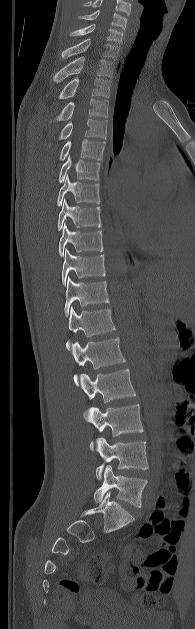

CT; sagittal view; bone-window reconstruction

This scan's labels start at C5 at the top and end at L5 at the bottom.
<vertebrae><v name="C5" x1="80" y1="10" x2="127" y2="29"/><v name="C6" x1="70" y1="24" x2="123" y2="43"/><v name="C7" x1="61" y1="38" x2="119" y2="59"/><v name="T1" x1="54" y1="56" x2="113" y2="81"/><v name="T2" x1="59" y1="78" x2="110" y2="98"/><v name="T3" x1="54" y1="98" x2="108" y2="121"/><v name="T4" x1="59" y1="119" x2="106" y2="139"/><v name="T5" x1="59" y1="139" x2="105" y2="160"/><v name="T6" x1="58" y1="155" x2="100" y2="182"/><v name="T7" x1="57" y1="175" x2="100" y2="205"/><v name="T8" x1="58" y1="199" x2="101" y2="230"/><v name="T9" x1="59" y1="222" x2="103" y2="256"/><v name="T10" x1="62" y1="248" x2="105" y2="284"/><v name="T11" x1="64" y1="277" x2="109" y2="317"/><v name="T12" x1="66" y1="306" x2="115" y2="350"/><v name="L1" x1="71" y1="337" x2="125" y2="385"/><v name="L2" x1="80" y1="369" x2="135" y2="418"/><v name="L3" x1="84" y1="404" x2="143" y2="450"/><v name="L4" x1="96" y1="437" x2="148" y2="479"/><v name="L5" x1="94" y1="465" x2="147" y2="507"/></vertebrae>